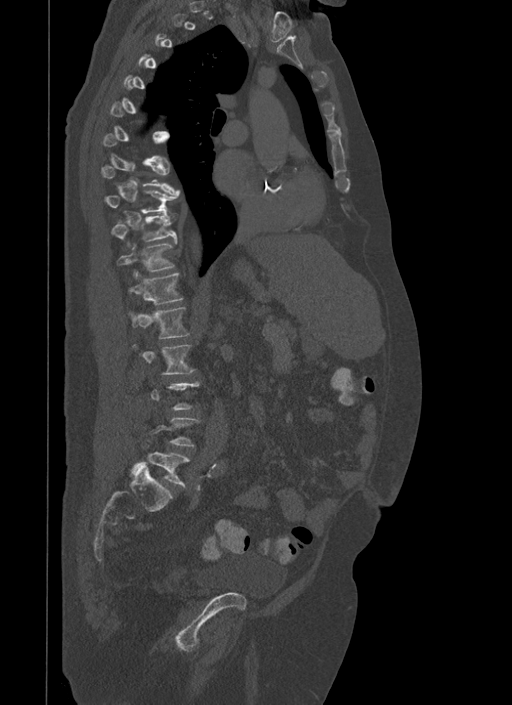

CT, spine · sagittal view · image width 500 mm · Bone window (WL 400, WW 1800) · 512x705 px
Each row gives a vertebra's box as x1, y1, x2, y2 in pixels: top-left corner, then bottom-right corner.
Not every vertebra on this slice has a box: a vertebra is boxed only from the first to the last slice where its cross-section is at least a third of its largest, and this slice is outside that range for at least one of them.
| vertebra | x1 | y1 | x2 | y2 |
|---|---|---|---|---|
| L5 | 130 | 453 | 189 | 486 |
| L2 | 143 | 345 | 194 | 374 |
| L1 | 133 | 307 | 189 | 338 |
| T12 | 128 | 269 | 183 | 304 |
| T11 | 117 | 241 | 176 | 271 |
| T10 | 110 | 212 | 178 | 241 |
| T9 | 103 | 191 | 179 | 213 |
| T8 | 100 | 162 | 180 | 192 |